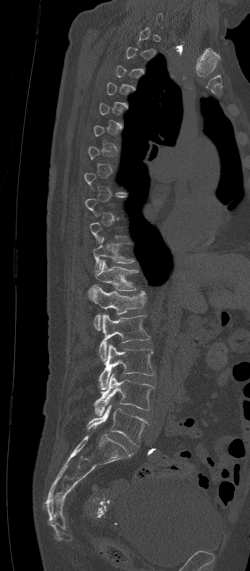 CT — sagittal reformat — the image is 250 mm wide — bone-window reconstruction — 250x571 px

Each vertebra is boxed only on the slices from the first to the last where its cross-section reaches a third of its largest, so a slice outside that range leaves it unboxed.
<vertebrae><v name="T11" x1="93" y1="237" x2="133" y2="275"/><v name="T12" x1="87" y1="260" x2="138" y2="300"/><v name="L1" x1="87" y1="284" x2="145" y2="330"/><v name="L2" x1="98" y1="314" x2="149" y2="361"/><v name="L3" x1="97" y1="344" x2="154" y2="389"/><v name="L4" x1="93" y1="373" x2="154" y2="415"/><v name="L5" x1="87" y1="405" x2="147" y2="444"/></vertebrae>